Spine computed tomography · Sagittal slice 241/512 · image 350 mm wide · 512x793 px
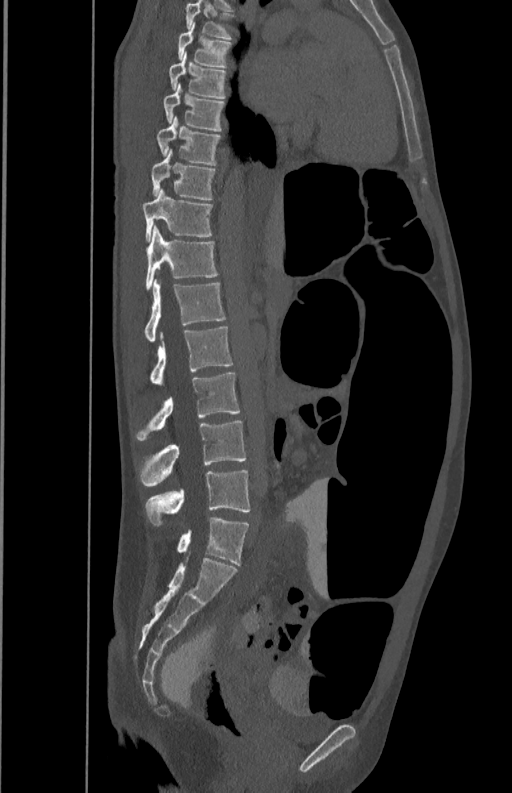 Coordinates as <box>x1,y1,x2,y2</box>.
T5: <box>186,1,231,38</box>
T6: <box>178,24,230,67</box>
T7: <box>168,55,226,98</box>
T8: <box>162,84,224,131</box>
T9: <box>156,117,221,164</box>
T10: <box>150,149,214,199</box>
T11: <box>142,188,212,240</box>
T12: <box>146,225,217,290</box>
L1: <box>145,279,226,341</box>
L2: <box>150,327,233,385</box>
L3: <box>137,373,240,439</box>
L4: <box>140,421,246,486</box>
L5: <box>145,469,250,526</box>